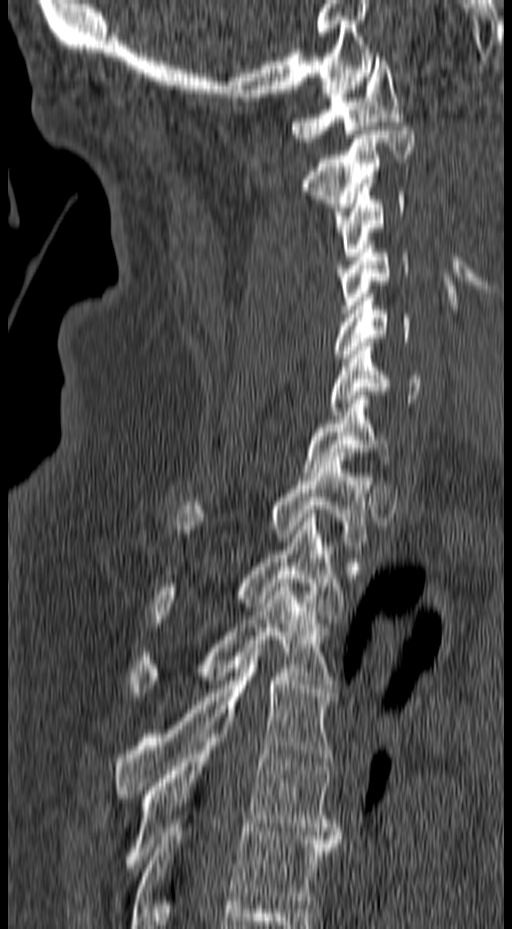
CT, spine · sagittal view · 512x929 px. Coordinates as <box>x1,y1,x2,y2</box>. 13 vertebrae labeled — C1 at <box>291,57,404,142</box>; C2 at <box>301,126,414,231</box>; C3 at <box>333,188,405,256</box>; C4 at <box>335,245,409,313</box>; C5 at <box>332,294,424,358</box>; C6 at <box>330,338,420,415</box>; C7 at <box>302,391,393,476</box>; T1 at <box>174,457,373,545</box>; T2 at <box>151,514,343,627</box>; T3 at <box>131,579,334,696</box>; T4 at <box>113,648,336,798</box>; T5 at <box>123,726,343,871</box>; T6 at <box>130,819,339,928</box>.